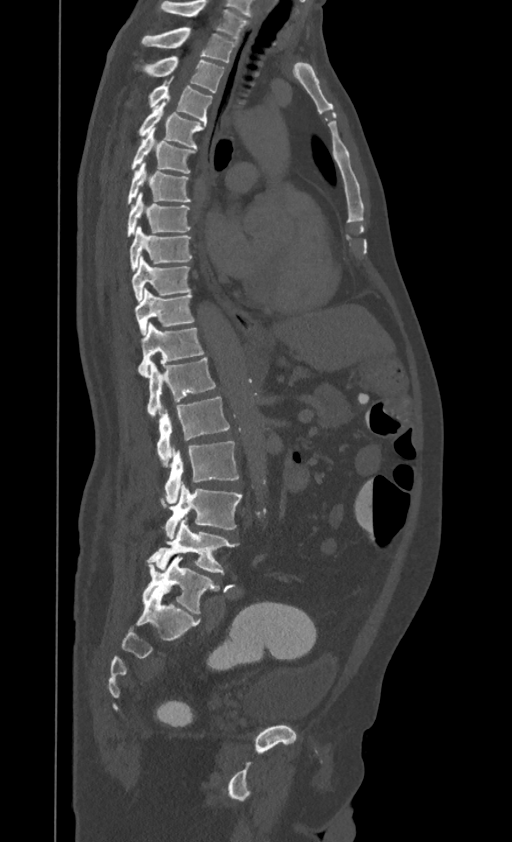

CT, spine. sagittal reformat
Box edges are left/top/right/bottom in pixels.
Labels in this scan begin with T1 at the top and end with L4 at the bottom.
T1: left=141, top=27, right=236, bottom=62
T2: left=145, top=56, right=224, bottom=92
T3: left=150, top=76, right=211, bottom=124
T4: left=140, top=101, right=205, bottom=148
T5: left=132, top=128, right=193, bottom=173
T6: left=128, top=161, right=189, bottom=203
T7: left=127, top=192, right=189, bottom=236
T8: left=129, top=226, right=191, bottom=270
T9: left=131, top=257, right=189, bottom=302
T10: left=135, top=289, right=193, bottom=335
T11: left=139, top=323, right=204, bottom=376
T12: left=148, top=356, right=215, bottom=418
L1: left=157, top=397, right=228, bottom=467
L2: left=164, top=441, right=239, bottom=503
L3: left=164, top=482, right=241, bottom=538
L4: left=148, top=516, right=235, bottom=573